Spine computed tomography — sagittal view
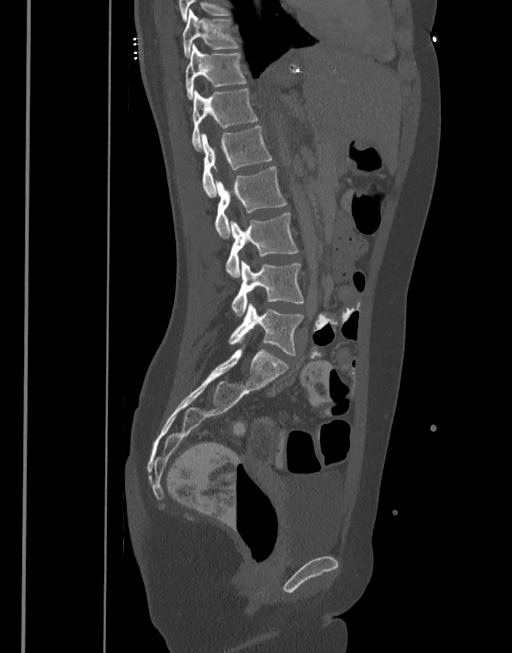
Each box given as x1,y1,x2,y2.
| vertebra | x1 | y1 | x2 | y2 |
|---|---|---|---|---|
| T10 | 182 | 10 | 238 | 58 |
| T11 | 186 | 44 | 246 | 99 |
| T12 | 191 | 88 | 257 | 151 |
| L1 | 201 | 126 | 272 | 197 |
| L2 | 214 | 166 | 287 | 237 |
| L3 | 225 | 213 | 298 | 276 |
| L4 | 232 | 260 | 304 | 316 |
| L5 | 229 | 303 | 303 | 355 |